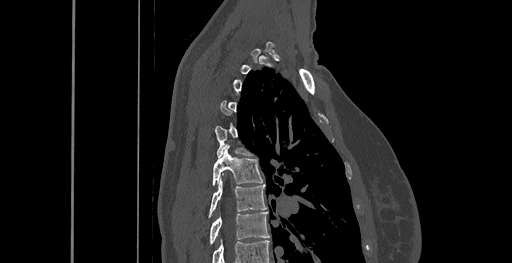 CT; sagittal reformat
Bounding boxes as [x1, y1, x2, y2] in pixel coordinates.
Each vertebra is boxed only on the slices from the first to the last where its cross-section reaches a third of its largest, so a slice outside that range leaves it unboxed.
This scan's labels start at C6 at the top and end at T8 at the bottom.
Vertebra bounding boxes:
- T8: [210, 212, 269, 243]
- T7: [208, 177, 266, 216]
- T6: [213, 147, 262, 184]